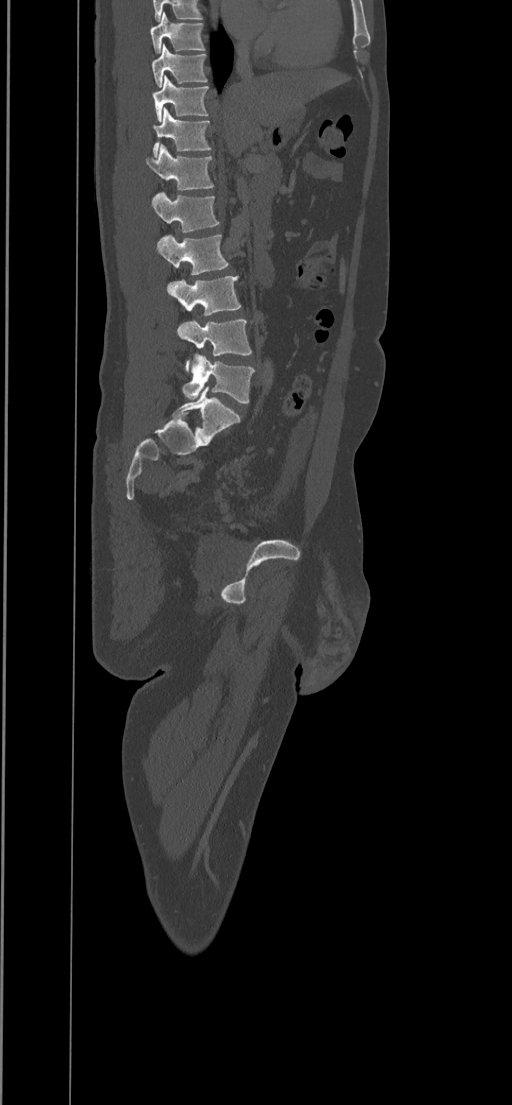 CT spine · sagittal view. Each box given as x1,y1,x2,y2. The highest labeled vertebra in this scan is T8; the lowest is L5. Vertebrae labeled: T8 at x1=150, y1=12, x2=205, y2=53, T9 at x1=151, y1=44, x2=207, y2=87, T10 at x1=152, y1=75, x2=208, y2=122, T11 at x1=153, y1=107, x2=210, y2=156, T12 at x1=146, y1=144, x2=214, y2=190, L1 at x1=151, y1=192, x2=220, y2=233, L2 at x1=156, y1=235, x2=228, y2=274, L3 at x1=167, y1=276, x2=241, y2=315, L4 at x1=177, y1=319, x2=251, y2=372, L5 at x1=183, y1=354, x2=254, y2=402.